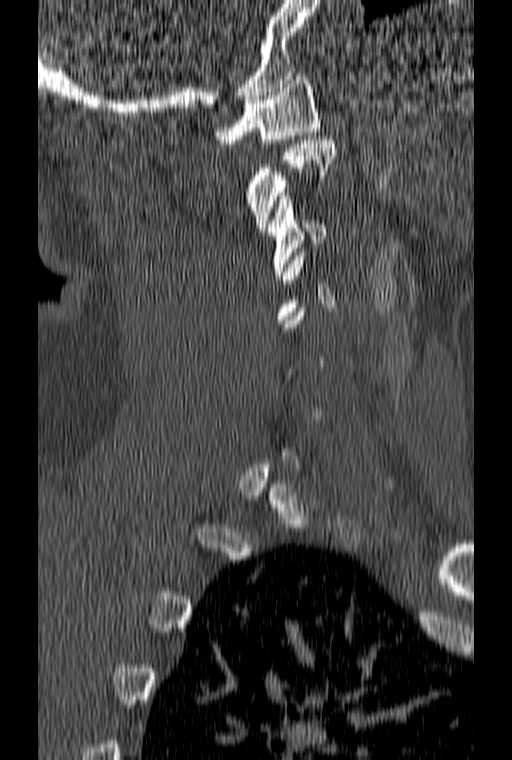

Spine computed tomography · sagittal view · bone window. Boxes: x1 y1 x2 y2 (pixel coords, space-separated).
A vertebra is boxed only from the first to the last slice where its cross-section is at least a third of its largest; slices outside that range leave it without a box.
Vertebra bounding boxes:
- C1: 215 72 319 143
- C2: 245 136 335 231
- C3: 267 192 326 279